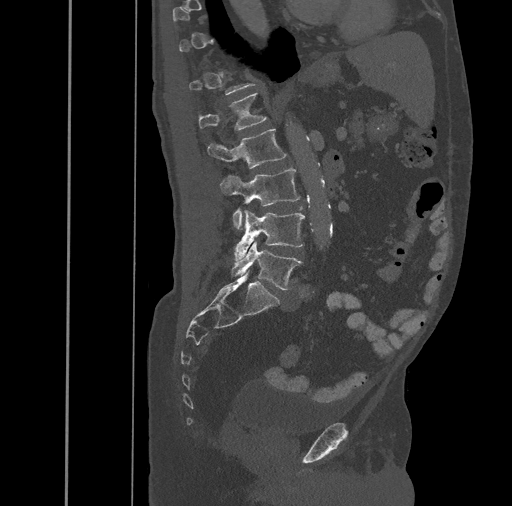

Spine computed tomography; sagittal view
Each vertebra is boxed only on the slices from the first to the last where its cross-section reaches a third of its largest, so a slice outside that range leaves it unboxed.
<vertebrae><v name="L5" x1="231" y1="241" x2="302" y2="290"/><v name="L4" x1="234" y1="210" x2="305" y2="261"/><v name="L3" x1="220" y1="168" x2="299" y2="228"/><v name="L2" x1="207" y1="128" x2="286" y2="168"/><v name="L1" x1="198" y1="93" x2="267" y2="131"/></vertebrae>